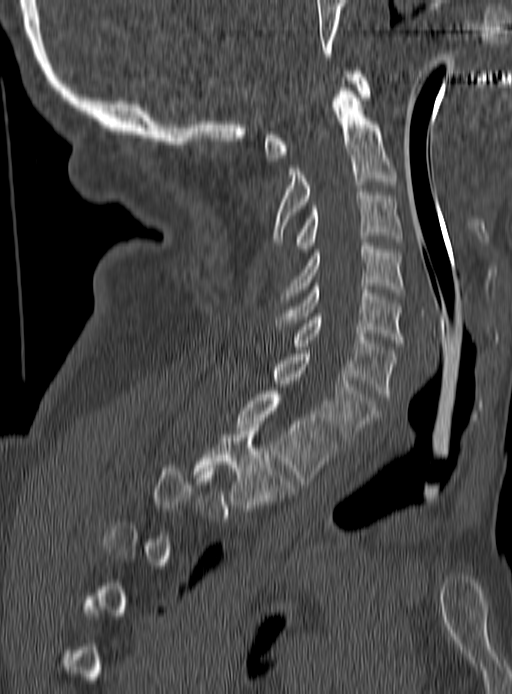
Spine CT. sagittal reformat
Box edges are left/top/right/bottom in pixels.
Not every vertebra on this slice has a box: a vertebra is boxed only from the first to the last slice where its cross-section is at least a third of its largest, and this slice is outside that range for at least one of them.
T2: left=192, top=424, right=294, bottom=511
T1: left=235, top=391, right=337, bottom=484
C7: left=273, top=350, right=377, bottom=444
C6: left=294, top=313, right=396, bottom=396
C5: left=273, top=283, right=404, bottom=346
C4: left=281, top=243, right=404, bottom=302
C3: left=295, top=189, right=401, bottom=252
C2: left=273, top=91, right=396, bottom=242
C1: left=264, top=71, right=369, bottom=161